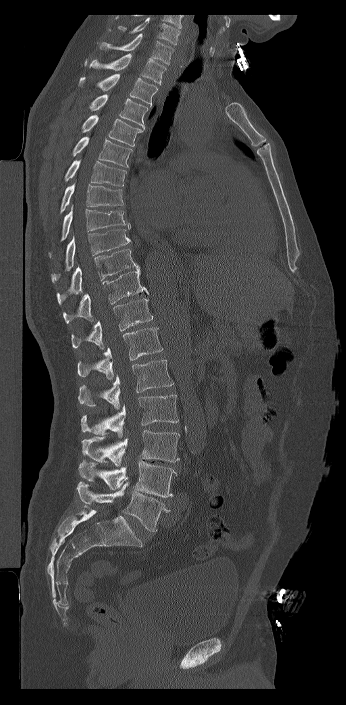
CT — image 346 mm wide — sagittal view — bone-window reconstruction — 346x705 px. Boxes are given in columns x1, y1, x2, y2, the pixel coordinates of their top-left and bottom-right corners.
The highest labeled vertebra in this scan is C7; the lowest is L6.
The labels name a sixth lumbar vertebra for this spine: L6, after L5.
| vertebra | x1 | y1 | x2 | y2 |
|---|---|---|---|---|
| C7 | 97 | 33 | 173 | 64 |
| T1 | 84 | 53 | 166 | 84 |
| T2 | 78 | 74 | 157 | 106 |
| T3 | 89 | 94 | 148 | 129 |
| T4 | 81 | 115 | 143 | 146 |
| T5 | 71 | 136 | 132 | 167 |
| T6 | 64 | 159 | 126 | 186 |
| T7 | 60 | 183 | 123 | 214 |
| T8 | 48 | 204 | 130 | 257 |
| T9 | 51 | 229 | 131 | 282 |
| T10 | 56 | 249 | 140 | 305 |
| T11 | 63 | 270 | 148 | 323 |
| T12 | 71 | 298 | 153 | 349 |
| L1 | 77 | 327 | 162 | 379 |
| L2 | 78 | 360 | 173 | 409 |
| L3 | 81 | 394 | 178 | 437 |
| L4 | 81 | 430 | 179 | 466 |
| L5 | 78 | 460 | 177 | 497 |
| L6 | 77 | 481 | 169 | 531 |